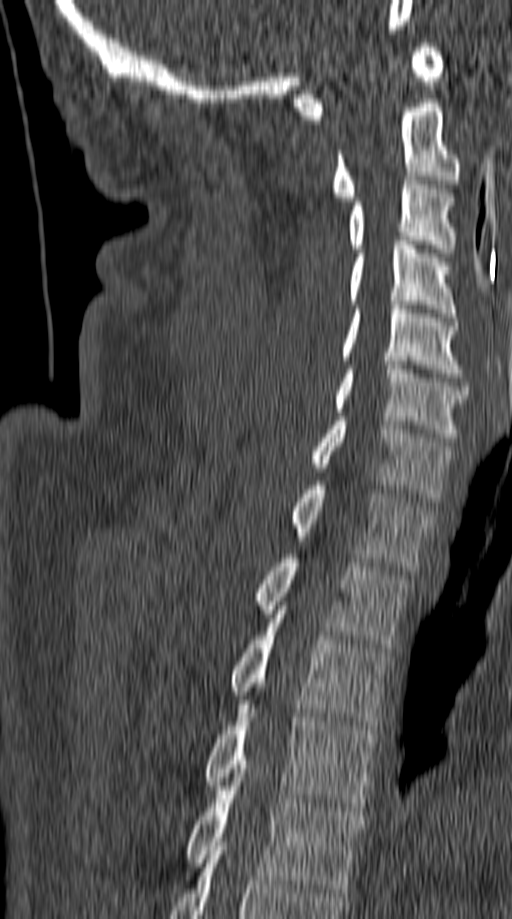
Spine CT — 149 mm wide — sagittal view
Coordinates as <box>x1,y1,x2,y2</box>. 12 vertebrae labeled — C1 at <box>294,43,444,119</box>; C2 at <box>331,99,461,201</box>; C3 at <box>348,176,457,252</box>; C4 at <box>349,241,457,317</box>; C5 at <box>340,301,464,377</box>; C6 at <box>333,361,468,441</box>; C7 at <box>310,417,452,502</box>; T1 at <box>290,481,433,570</box>; T2 at <box>256,558,409,648</box>; T3 at <box>231,614,389,729</box>; T4 at <box>204,704,378,811</box>; T5 at <box>187,777,365,892</box>.